Spine CT · sagittal view · bone window · image 199 mm wide · 199x227 px
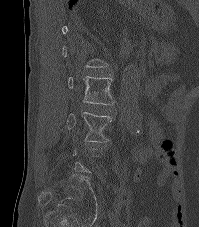

Each box is [x1, y1, x2, y2] in pixels: top-left corner, then bottom-right corner.
Each vertebra is boxed only on the slices from the first to the last where its cross-section reaches a third of its largest, so a slice outside that range leaves it unboxed.
{"vertebrae":{"L2":[68,76,114,104],"L3":[67,112,111,142]}}